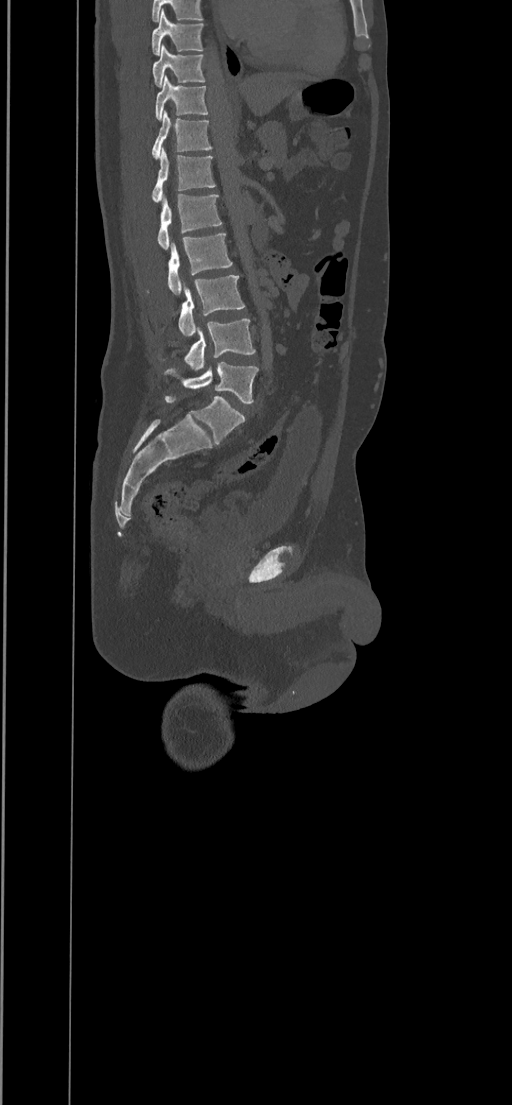 Spine computed tomography — sagittal reformat — bone window — the image spans 434 mm across. Boxes: x1 y1 x2 y2 (pixel coords, space-separated).
T8: 151 10 204 55
T9: 152 45 205 87
T10: 156 75 208 119
T11: 151 110 212 158
T12: 152 148 216 202
L1: 157 193 222 250
L2: 147 234 232 294
L3: 178 275 244 336
L4: 157 319 255 370
L5: 163 362 258 404